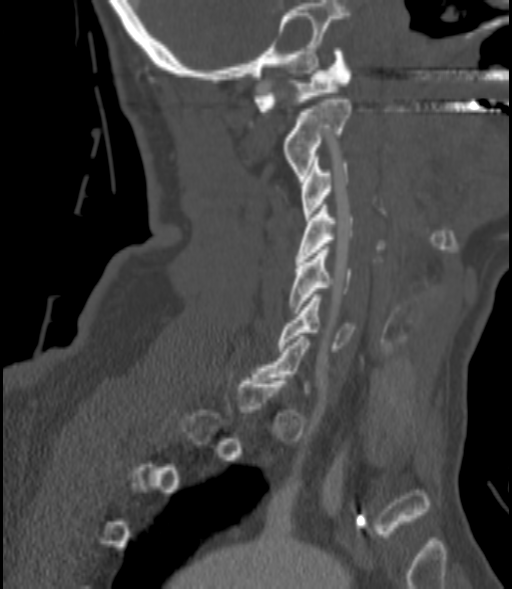
Spine CT. sagittal reformat. bone window. 200 mm image width

Box edges are left/top/right/bottom in pixels.
A vertebra is boxed only from the first to the last slice where its cross-section is at least a third of its largest; slices outside that range leave it without a box.
Vertebra bounding boxes:
- C1: left=253, top=48, right=351, bottom=111
- C2: left=282, top=96, right=351, bottom=178
- C3: left=300, top=157, right=348, bottom=220
- C4: left=295, top=205, right=353, bottom=261
- C5: left=290, top=246, right=351, bottom=313
- C6: left=277, top=294, right=354, bottom=351